Spine computed tomography — 386 mm across the image — sagittal plane, index 234 — Bone window (WL 400, WW 1800)
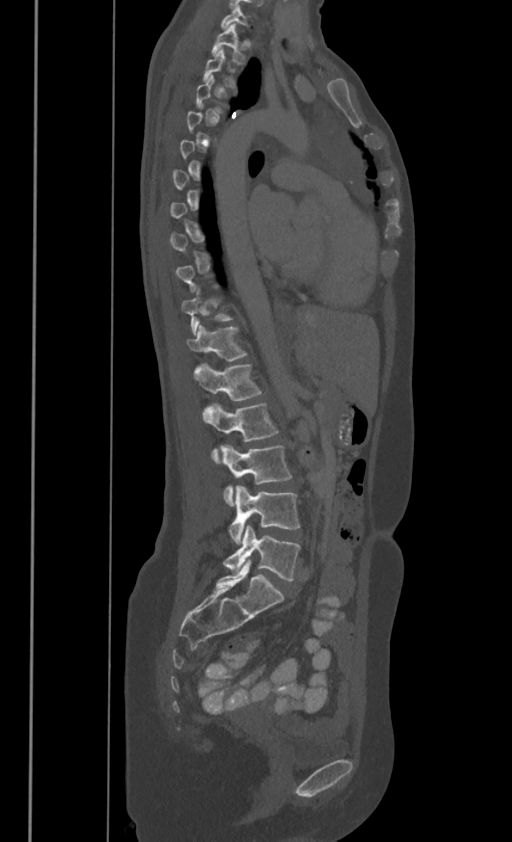

Boxes are (x1, y1, x2, y2) in pixels.
A vertebra gets a box only on the slices from the first to the last where its cross-section is at least a third of its largest; on a slice outside that range it gets none.
These labels give this spine no T12: after T11 the next vertebra is L1.
C7: (221, 5, 248, 28)
T1: (212, 23, 244, 62)
T2: (203, 48, 235, 87)
T11: (187, 325, 246, 360)
L1: (193, 362, 260, 399)
L2: (203, 401, 277, 461)
L3: (220, 445, 291, 505)
L4: (229, 486, 300, 543)
L5: (224, 526, 300, 580)